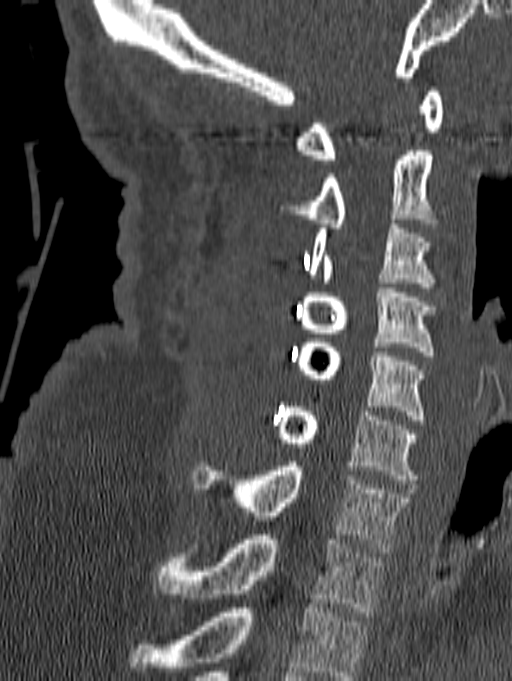
CT · sagittal reformat · Bone window (WL 400, WW 1800)
Coordinates as <box>x1,y1,x2,y2</box>.
The highest labeled vertebra in this scan is C1; the lowest is T1.
Vertebra bounding boxes:
- T1: <box>155,535,384,616</box>
- C7: <box>192,462,410,552</box>
- C6: <box>272,407,417,484</box>
- C5: <box>294,338,425,424</box>
- C4: <box>300,283,439,360</box>
- C3: <box>310,224,436,292</box>
- C2: <box>279,151,436,228</box>
- C1: <box>296,87,443,164</box>